CT spine. sagittal view. 288 mm image width. bone-window reconstruction
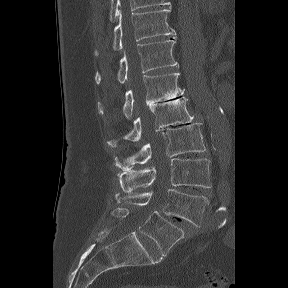
Boxes: x1:y1:x2:y2 in pixels.
The labels name a sixth lumbar vertebra for this spine: L6, after L5.
Vertebra bounding boxes:
- T11: 95:6:176:54
- T12: 95:36:179:83
- L1: 98:73:184:118
- L2: 106:97:193:147
- L3: 113:123:205:170
- L4: 117:158:211:192
- L5: 115:189:208:227
- L6: 111:208:184:255